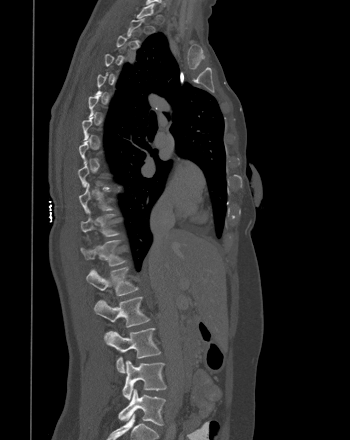

CT, spine · sagittal view · Bone window (WL 400, WW 1800)
Box edges are left/top/right/bottom in pixels.
A vertebra gets a box only on the slices from the first to the last where its cross-section is at least a third of its largest; on a slice outside that range it gets none.
T10: left=79, top=182, right=113, bottom=213
T11: left=80, top=210, right=119, bottom=238
T12: left=80, top=240, right=125, bottom=266
L1: left=86, top=267, right=138, bottom=296
L2: left=94, top=296, right=149, bottom=327
L3: left=104, top=328, right=161, bottom=373
L4: left=122, top=360, right=166, bottom=399
L5: left=118, top=389, right=165, bottom=425